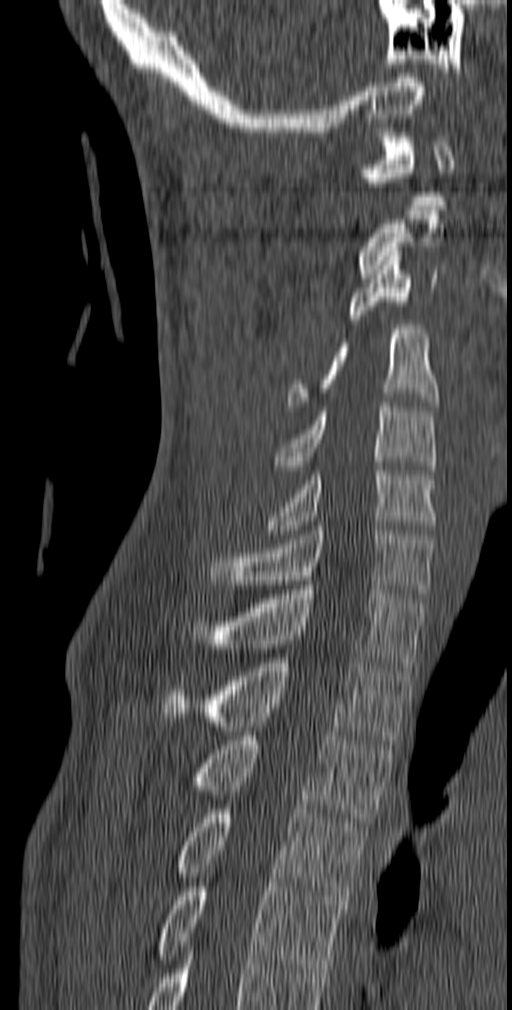

Spine CT. sagittal view
Coordinates as <box>x1,y1,x2,y2</box>.
T5: <box>158,882,344,973</box>
T4: <box>173,809,367,900</box>
T3: <box>188,736,392,826</box>
T2: <box>161,658,412,744</box>
T1: <box>188,585,425,671</box>
C7: <box>208,526,435,598</box>
C6: <box>267,466,436,534</box>
C5: <box>275,407,436,474</box>
C4: <box>287,325,439,410</box>
C3: <box>345,251,438,324</box>
C2: <box>356,210,444,278</box>
C1: <box>360,133,454,205</box>